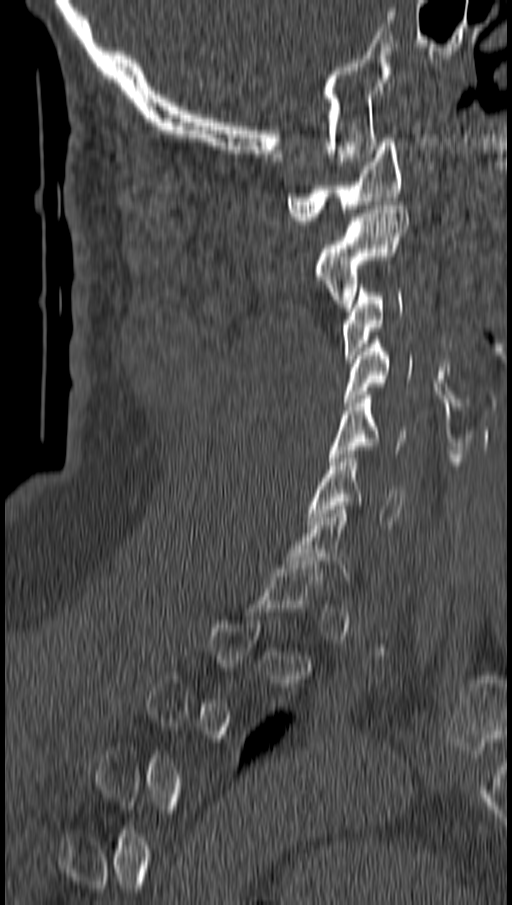
CT · sagittal view · bone window · 162 mm wide
Bounding boxes as [x1, y1, x2, y2] in pixel coordinates.
A vertebra is boxed only from the first to the last slice where its cross-section is at least a third of its largest; slices outside that range leave it without a box.
Vertebra bounding boxes:
- C1: [288, 138, 402, 224]
- C2: [314, 201, 408, 307]
- C3: [342, 284, 402, 362]
- C4: [346, 336, 411, 406]
- C5: [330, 391, 406, 461]
- C6: [308, 450, 403, 528]